Spine computed tomography · the image is 368 mm wide · sagittal view · some of the image was removed or blocked out with constant pixels
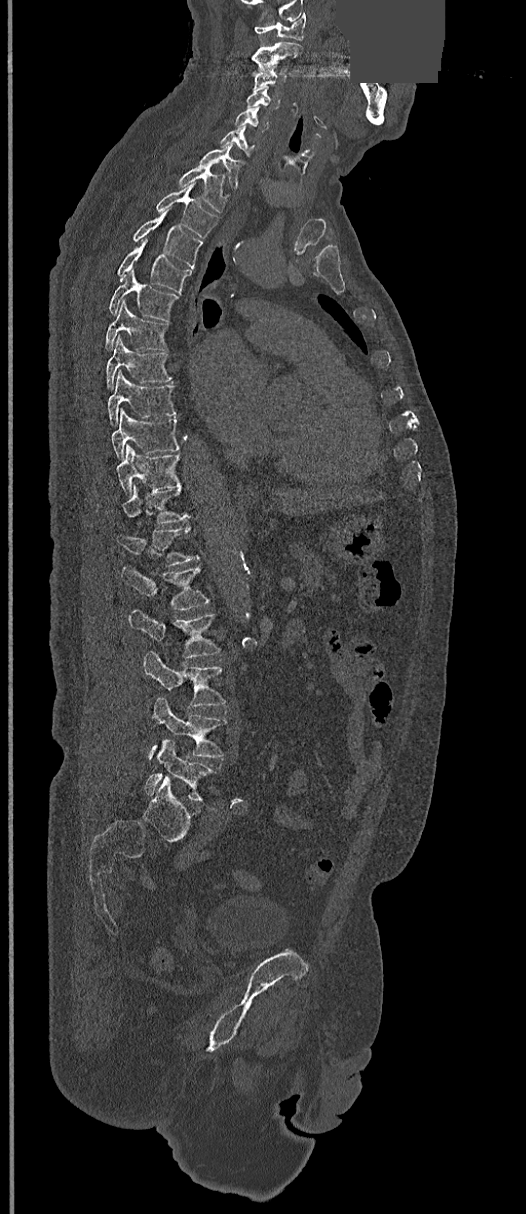

Box values are [left, top, right, bottom] in pixels.
{"vertebrae":{"C1":[254,13,306,40],"C2":[252,41,302,74],"C3":[253,64,286,88],"C4":[246,87,280,109],"C5":[234,106,269,132],"C6":[220,126,257,156],"C7":[198,144,241,189],"T1":[179,166,226,212],"T2":[155,184,218,238],"T3":[132,208,201,268],"T4":[117,240,192,292],"T5":[109,268,179,320],"T6":[104,300,167,350],"T7":[106,336,171,388],"T8":[107,370,176,423],"T9":[111,409,179,459],"T10":[117,446,179,495],"T11":[122,486,189,523],"T12":[115,526,199,566],"L1":[120,566,211,609],"L2":[128,610,220,659],"L3":[143,651,226,708],"L4":[147,697,226,759],"L5":[144,740,215,800]}}